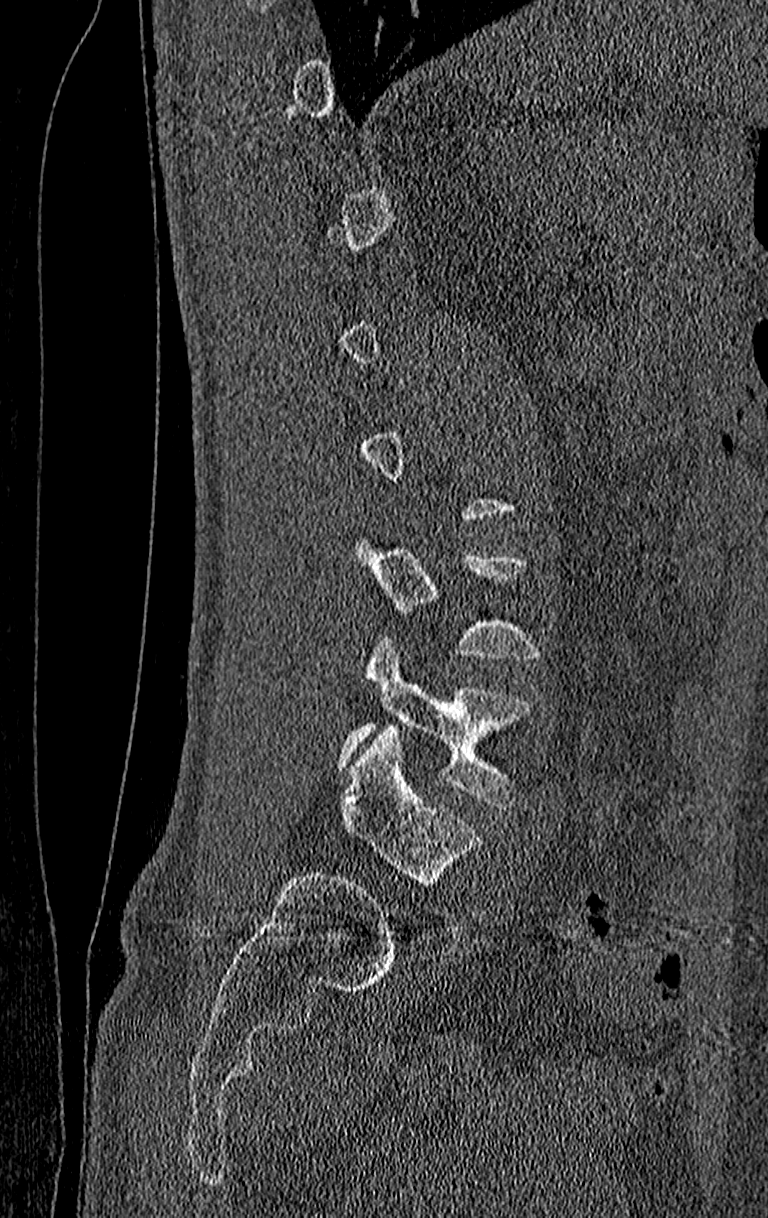

CT, spine. sagittal view. 768x1218 px. Boxes are (x1, y1, x2, y2) in pixels. Each vertebra is boxed only on the slices from the first to the last where its cross-section reaches a third of its largest, so a slice outside that range leaves it unboxed. Labels in this scan begin with T11 at the top and end with L4 at the bottom. Vertebrae labeled: L3 at (353, 532, 539, 662), L4 at (339, 637, 532, 809).